Spine CT; Sagittal slice 41/74; 137 mm image width
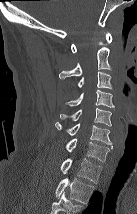

Boxes are given in columns x1, y1, x2, y2, the pixel coordinates of their top-left and bottom-right corners.
This scan's labels start at C1 at the top and end at T2 at the bottom.
| vertebra | x1 | y1 | x2 | y2 |
|---|---|---|---|---|
| C1 | 71 | 32 | 112 | 53 |
| C2 | 59 | 47 | 112 | 79 |
| C3 | 77 | 71 | 112 | 89 |
| C4 | 65 | 89 | 114 | 109 |
| C5 | 60 | 107 | 111 | 126 |
| C6 | 55 | 122 | 111 | 144 |
| C7 | 66 | 138 | 112 | 162 |
| T1 | 60 | 158 | 102 | 183 |
| T2 | 55 | 177 | 94 | 203 |